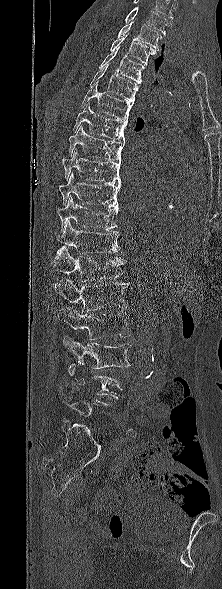 Computed tomography of the spine. sagittal view. 222 mm across the image

Boxes are (x1, y1, x2, y2) in pixels.
The highest labeled vertebra in this scan is T1; the lowest is L5.
Vertebra bounding boxes:
- T1: (117, 20, 161, 51)
- T2: (110, 34, 156, 64)
- T3: (99, 46, 144, 83)
- T4: (90, 65, 139, 101)
- T5: (81, 83, 133, 120)
- T6: (73, 102, 127, 141)
- T7: (69, 125, 124, 160)
- T8: (61, 148, 121, 184)
- T9: (59, 172, 120, 207)
- T10: (56, 195, 118, 231)
- T11: (56, 221, 120, 253)
- T12: (52, 246, 125, 281)
- L1: (54, 279, 129, 312)
- L2: (59, 307, 130, 340)
- L3: (63, 336, 130, 368)
- L4: (65, 362, 122, 399)
- L5: (59, 384, 110, 420)